CT · image width 150 mm · sagittal view · 512x943 px
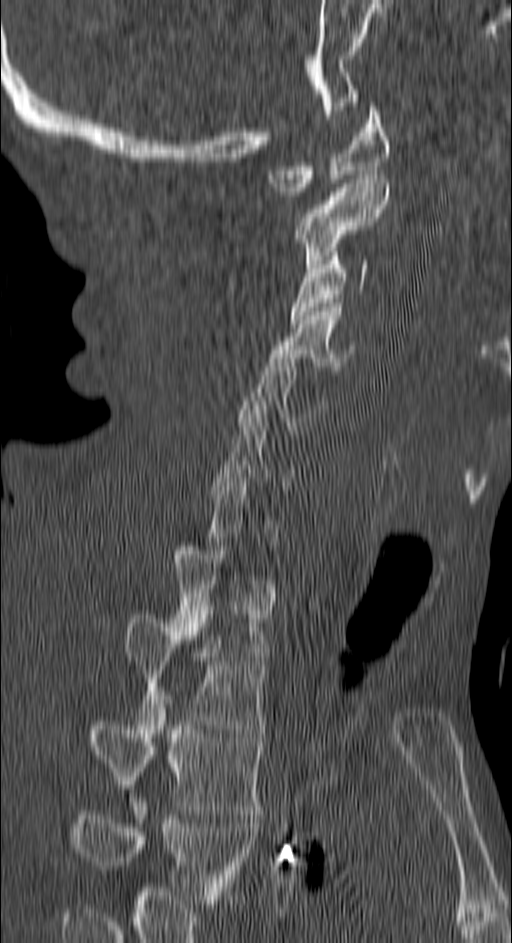 Each vertebra maps to its box as [x1, y1, x2, y2], the pixel coordinates of its top-left and bottom-right corners.
Not every vertebra on this slice has a box: a vertebra is boxed only from the first to the last slice where its cross-section is at least a third of its largest, and this slice is outside that range for at least one of them.
The highest labeled vertebra in this scan is C1; the lowest is T4.
{"vertebrae":{"C1":[267,102,389,195],"C2":[295,175,389,268],"C3":[290,252,369,323],"C4":[269,303,353,370],"C5":[237,354,326,434],"T1":[172,546,267,660],"T2":[124,614,266,733],"T3":[90,695,263,814],"T4":[73,802,256,904]}}